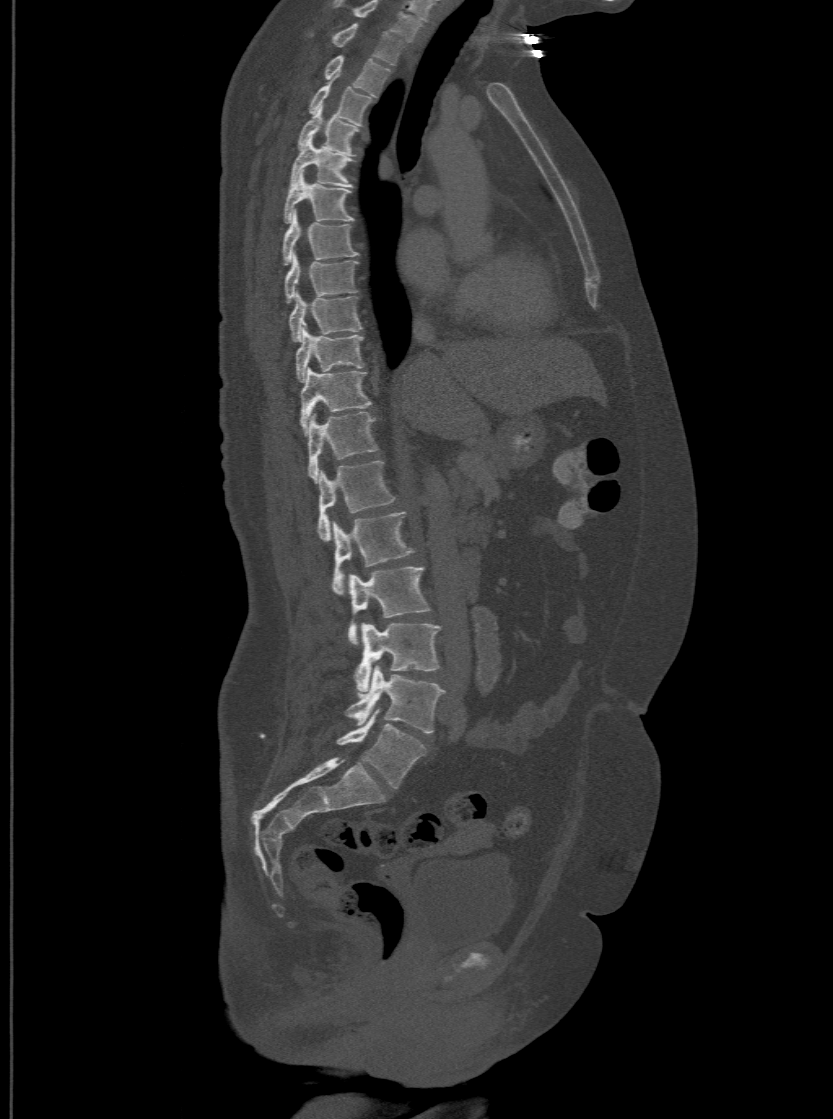

CT spine. 500 mm image width. sagittal reformat. Boxes: x1:y1:x2:y2 in pixels. Labels in this scan begin with T1 at the top and end with L6 at the bottom. The labels name a sixth lumbar vertebra for this spine: L6, after L5. The labeled vertebrae in this slice are: L6 at 337:709:425:788, L5 at 347:666:443:733, L4 at 353:623:440:693, L3 at 348:566:430:645, L2 at 332:510:414:593, L1 at 317:460:395:539, T12 at 308:412:377:481, T11 at 299:367:372:432, T10 at 295:325:364:381, T9 at 288:293:362:341, T8 at 285:253:357:302, T7 at 282:212:359:264, T6 at 283:175:352:222, T5 at 290:138:352:186, T4 at 296:107:359:154, T3 at 308:82:372:124, T2 at 324:53:390:94, T1 at 332:22:403:64.